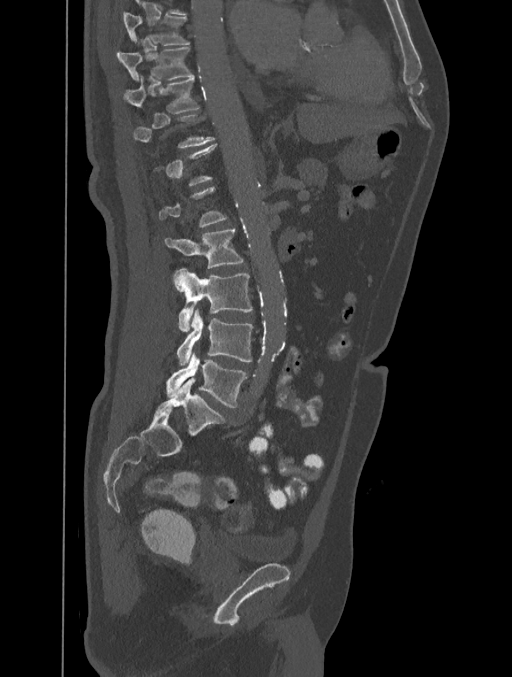
CT, spine · sagittal view. Each box given as x1,y1,x2,y2.
A vertebra gets a box only on the slices from the first to the last where its cross-section is at least a third of its largest; on a slice outside that range it gets none.
| vertebra | x1 | y1 | x2 | y2 |
|---|---|---|---|---|
| T8 | 122 | 11 | 189 | 45 |
| T9 | 116 | 47 | 192 | 79 |
| T10 | 122 | 77 | 198 | 113 |
| L2 | 165 | 229 | 243 | 269 |
| L3 | 174 | 268 | 252 | 331 |
| L4 | 176 | 309 | 253 | 366 |
| L5 | 166 | 352 | 247 | 407 |